Spine CT — sagittal plane, index 175 — W/L 1800/400 HU — 350x440 px
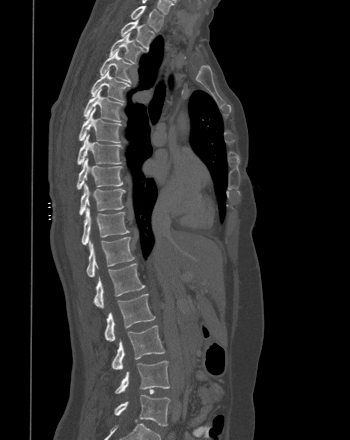 Bounding boxes as [x1, y1, x2, y2] in pixel coordinates.
T1: [130, 5, 163, 31]
T2: [120, 19, 154, 49]
T3: [109, 32, 144, 63]
T4: [99, 50, 131, 81]
T5: [90, 68, 129, 101]
T6: [83, 88, 122, 121]
T7: [78, 108, 121, 142]
T8: [77, 134, 121, 165]
T9: [76, 157, 123, 189]
T10: [79, 183, 125, 215]
T11: [81, 207, 129, 245]
T12: [86, 237, 134, 277]
L1: [93, 263, 144, 308]
L2: [104, 294, 155, 341]
L3: [112, 325, 165, 369]
L4: [115, 360, 169, 393]
L5: [114, 394, 170, 426]